CT, spine. sagittal reformat. bone-window reconstruction. 430x1568 px. 20 vertebrae labeled in this scan
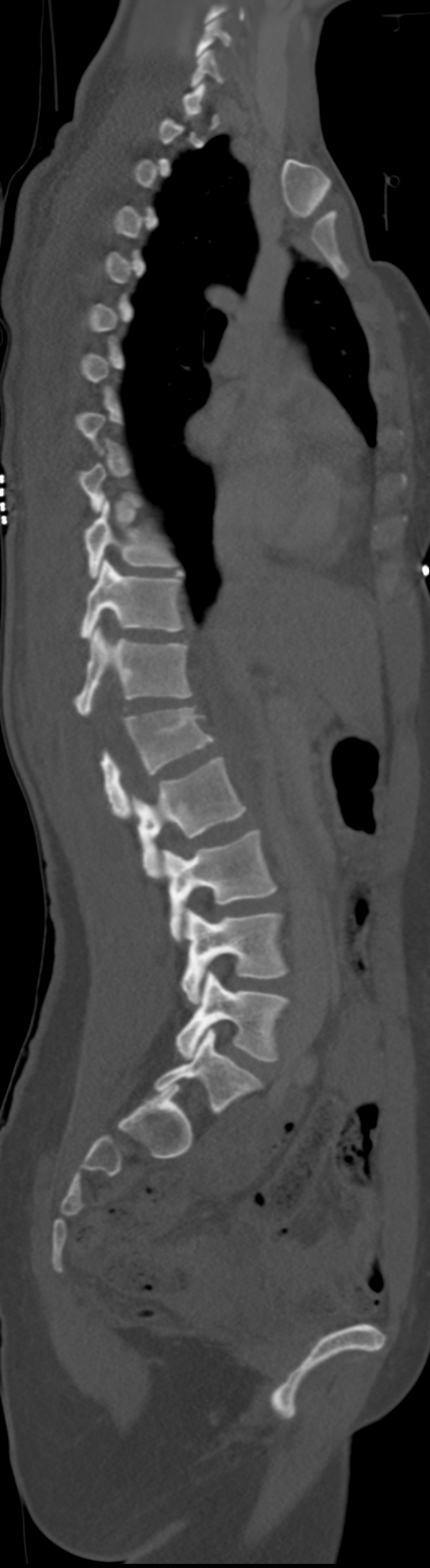 Columns x1, y1, x2, y2 give each box's top-left and bottom-right pixels.
Not every vertebra on this slice has a box: a vertebra is boxed only from the first to the last slice where its cross-section is at least a third of its largest, and this slice is outside that range for at least one of them.
These labels give the spine a sixth lumbar vertebra, L6, below L5. In these labels the spine has no T12: the thoracic vertebrae end at T11, and L1 comes next.
| vertebra | x1 | y1 | x2 | y2 |
|---|---|---|---|---|
| C5 | 195 | 18 | 231 | 56 |
| T9 | 84 | 499 | 177 | 577 |
| T10 | 80 | 560 | 186 | 638 |
| T11 | 73 | 627 | 192 | 716 |
| L1 | 102 | 707 | 215 | 819 |
| L2 | 132 | 757 | 246 | 878 |
| L3 | 162 | 831 | 278 | 940 |
| L4 | 181 | 907 | 289 | 1004 |
| L5 | 176 | 972 | 289 | 1062 |
| L6 | 155 | 1028 | 262 | 1114 |